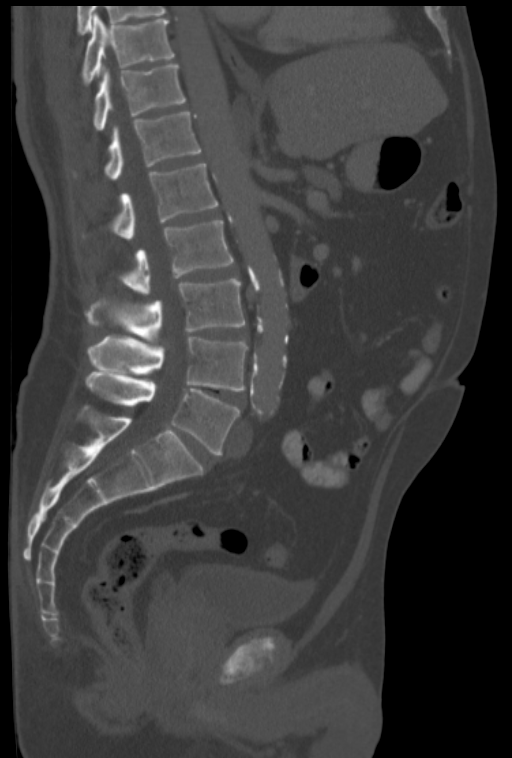
Computed tomography of the spine — sagittal view — bone-window reconstruction
Each box is [x1, y1, x2, y2] in pixels: top-left corner, then bottom-right corner.
{"vertebrae":{"L5":[86,372,239,455],"L4":[88,334,247,390],"L3":[87,278,246,341],"L2":[121,220,233,295],"L1":[110,162,217,239],"T12":[104,112,201,179],"T11":[93,64,185,130],"T10":[81,13,174,85]}}